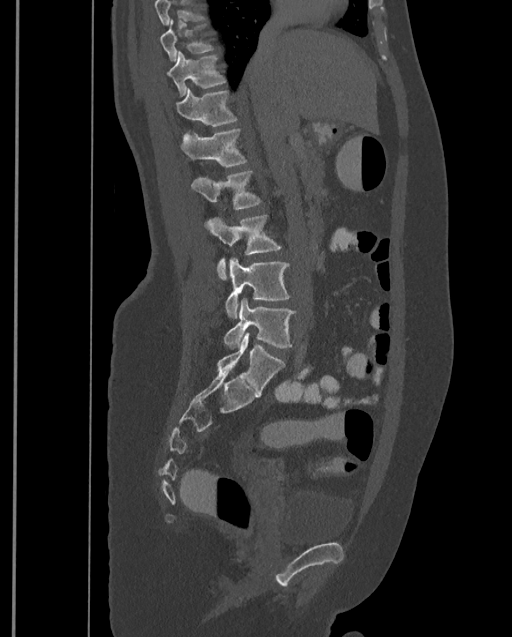
Computed tomography of the spine · sagittal view · 512x637 px

Box edges are left/top/right/bottom in pixels. No box is given to a vertebra that the top edge of the scan cuts off. This scan's labels start at T9 at the top and end at L4 at the bottom. The labeled vertebrae in this slice are: T9 at left=160, top=20, right=214, bottom=61, T10 at left=167, top=51, right=226, bottom=97, T11 at left=176, top=88, right=238, bottom=126, T12 at left=180, top=128, right=247, bottom=166, L1 at left=191, top=171, right=261, bottom=209, L2 at left=204, top=214, right=281, bottom=280, L3 at left=224, top=258, right=290, bottom=319, L4 at left=223, top=298, right=295, bottom=348.